CT spine. sagittal plane, index 273. bone-window reconstruction
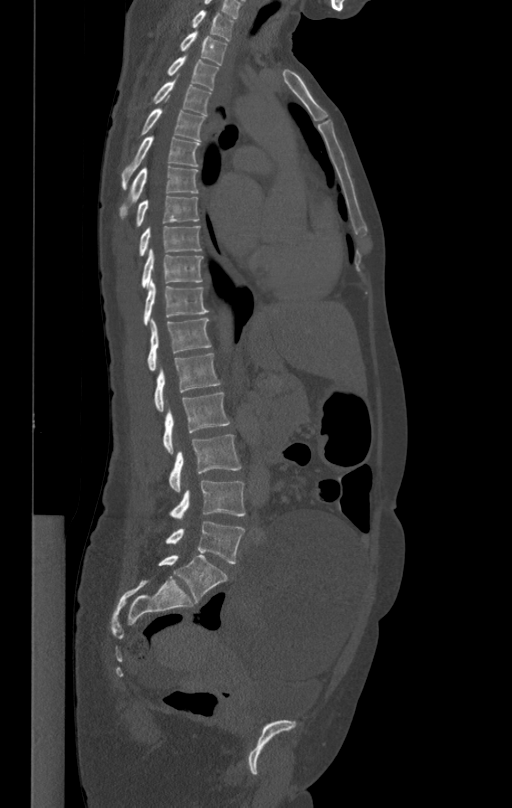

<vertebrae><v name="T1" x1="192" y1="10" x2="234" y2="39"/><v name="T2" x1="180" y1="30" x2="226" y2="65"/><v name="T3" x1="168" y1="54" x2="219" y2="90"/><v name="T4" x1="153" y1="77" x2="210" y2="115"/><v name="T5" x1="142" y1="107" x2="204" y2="140"/><v name="T6" x1="122" y1="135" x2="199" y2="189"/><v name="T7" x1="119" y1="167" x2="198" y2="218"/><v name="T8" x1="135" y1="196" x2="199" y2="227"/><v name="T9" x1="138" y1="226" x2="201" y2="256"/><v name="T10" x1="142" y1="248" x2="203" y2="288"/><v name="T11" x1="143" y1="280" x2="208" y2="323"/><v name="T12" x1="147" y1="318" x2="211" y2="370"/><v name="L1" x1="154" y1="352" x2="220" y2="412"/><v name="L2" x1="163" y1="393" x2="230" y2="453"/><v name="L3" x1="169" y1="434" x2="241" y2="491"/><v name="L4" x1="169" y1="480" x2="245" y2="518"/><v name="L5" x1="165" y1="520" x2="245" y2="563"/></vertebrae>